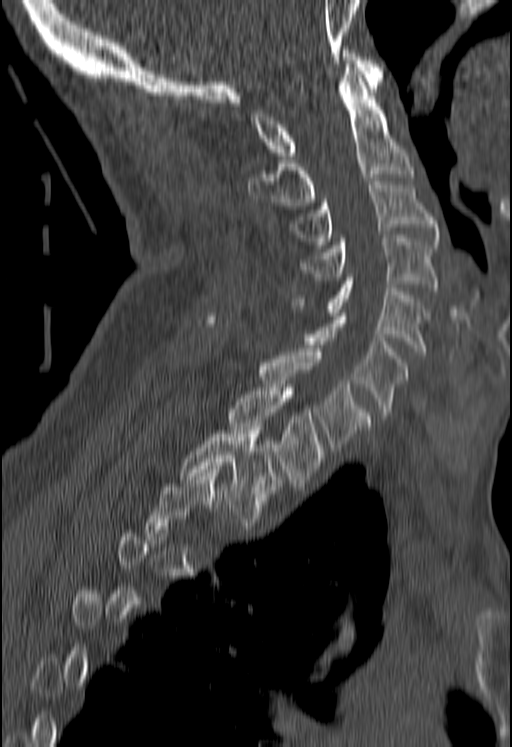 Computed tomography of the spine · sagittal view · Bone window (WL 400, WW 1800) · 512x747 px
Coordinates as <box>x1,y1,x2,y2</box>.
A vertebra is boxed only from the first to the last slice where its cross-section is at least a third of its largest; slices outside that range leave it without a box.
C1: <box>250,50,382,159</box>
C2: <box>248,68,412,205</box>
C3: <box>291,181,438,241</box>
C4: <box>298,235,438,291</box>
C5: <box>291,277,427,355</box>
C6: <box>308,313,407,415</box>
C7: <box>204,320,370,451</box>
T1: <box>228,384,323,483</box>
T2: <box>180,427,279,522</box>